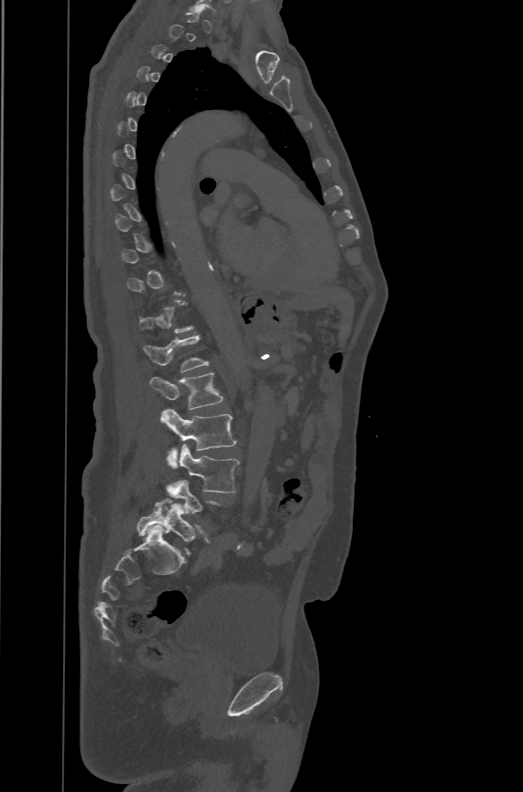 Computed tomography of the spine — sagittal view — 523x792 px
Each row gives a vertebra's box as x1, y1, x2, y2 in pixels: top-left corner, then bottom-right corner.
A vertebra gets a box only on the slices from the first to the last where its cross-section is at least a third of its largest; on a slice outside that range it gets none.
These labels give the spine a sixth lumbar vertebra, L6, below L5.
| vertebra | x1 | y1 | x2 | y2 |
|---|---|---|---|---|
| L6 | 137 | 498 | 210 | 553 |
| L4 | 168 | 444 | 239 | 492 |
| L3 | 159 | 408 | 235 | 468 |
| L2 | 150 | 372 | 224 | 409 |
| L1 | 143 | 335 | 208 | 372 |